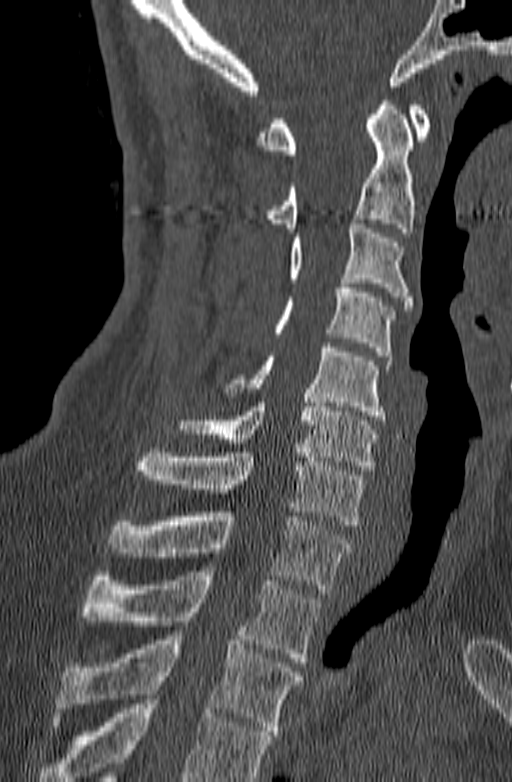

CT spine — sagittal view — 140 mm wide
Boxes are (x1, y1, x2, y2) in pixels.
A vertebra cut off by the bottom edge of the scan is not labeled and has no box.
C1: (257, 105, 431, 154)
C2: (265, 96, 414, 232)
C3: (288, 219, 412, 310)
C4: (272, 279, 395, 356)
C5: (223, 343, 391, 420)
C6: (177, 398, 377, 470)
C7: (135, 448, 366, 525)
T1: (107, 507, 351, 593)
T2: (82, 571, 320, 662)
T3: (53, 631, 302, 735)